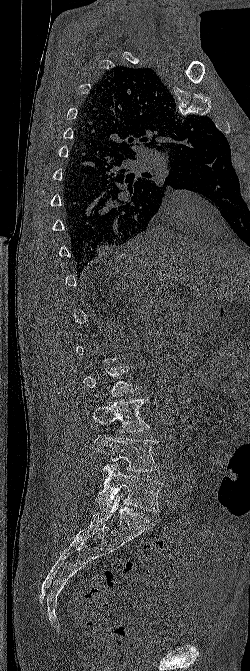
CT; sagittal view; bone window; 250x671 px; the image is 250 mm wide
A vertebra gets a box only on the slices from the first to the last where its cross-section is at least a third of its largest; on a slice outside that range it gets none.
<vertebrae><v name="L3" x1="92" y1="398" x2="150" y2="432"/><v name="L4" x1="93" y1="435" x2="158" y2="471"/><v name="L5" x1="95" y1="462" x2="162" y2="511"/></vertebrae>